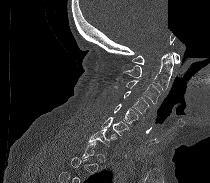

CT spine — sagittal view — bone window — a portion of the image is blanked out (constant pixel value)
In the table, x1 and y1 are a box's top-left corner and x2 and y2 its bottom-right corner, in pixels.
A vertebra is boxed only from the first to the last slice where its cross-section is at least a third of its largest; slices outside that range leave it without a box.
| vertebra | x1 | y1 | x2 | y2 |
|---|---|---|---|---|
| C1 | 132 | 52 | 180 | 64 |
| C2 | 123 | 53 | 173 | 90 |
| C3 | 113 | 80 | 160 | 104 |
| C4 | 124 | 91 | 149 | 113 |
| C5 | 114 | 104 | 138 | 123 |
| C6 | 101 | 117 | 129 | 135 |
| C7 | 88 | 129 | 117 | 146 |